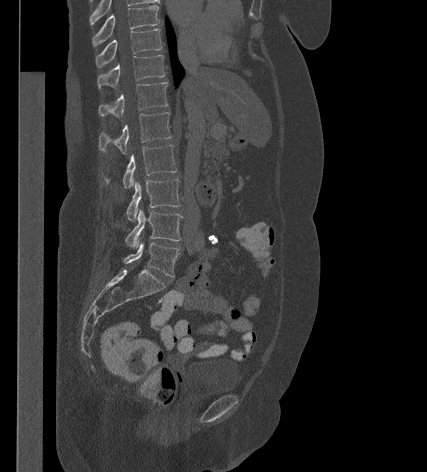

Spine computed tomography. sagittal reformat. image 427 mm wide
<vertebrae><v name="T9" x1="92" y1="5" x2="159" y2="46"/><v name="T10" x1="96" y1="29" x2="161" y2="67"/><v name="T11" x1="97" y1="55" x2="164" y2="88"/><v name="T12" x1="99" y1="82" x2="167" y2="118"/><v name="L1" x1="99" y1="112" x2="171" y2="154"/><v name="L2" x1="105" y1="144" x2="177" y2="188"/><v name="L3" x1="127" y1="179" x2="179" y2="221"/><v name="L4" x1="125" y1="208" x2="182" y2="249"/><v name="L5" x1="123" y1="242" x2="179" y2="276"/></vertebrae>